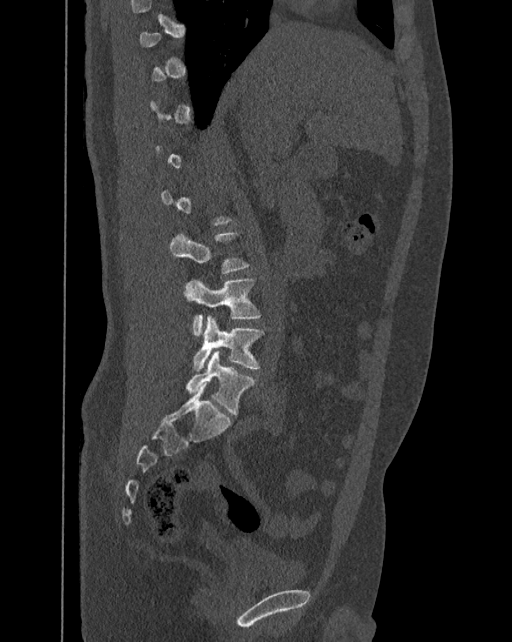

Spine CT — sagittal view — image width 392 mm
A vertebra is boxed only from the first to the last slice where its cross-section is at least a third of its largest; slices outside that range leave it without a box.
In these labels the spine has an L6, a sixth lumbar vertebra below L5.
<vertebrae><v name="L3" x1="170" y1="232" x2="250" y2="273"/><v name="L4" x1="184" y1="279" x2="260" y2="336"/><v name="L5" x1="193" y1="315" x2="264" y2="370"/><v name="L6" x1="185" y1="350" x2="255" y2="415"/></vertebrae>